CT — Sagittal slice 169/512 — image width 140 mm — bone window
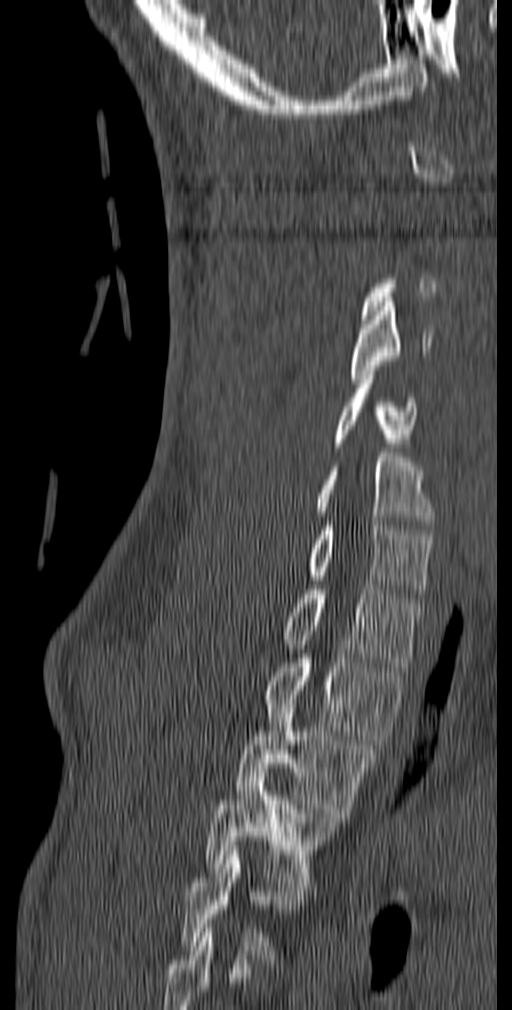

Box edges are left/top/right/bottom in pixels.
A vertebra is boxed only from the first to the last slice where its cross-section is at least a third of its largest; slices outside that range leave it without a box.
In this scan, the topmost labeled vertebra is C1 and the lowest is T5.
C4: left=350, top=302, right=433, bottom=383
C5: left=334, top=370, right=417, bottom=447
C6: left=315, top=453, right=436, bottom=525
C7: left=309, top=521, right=432, bottom=598
T1: left=283, top=585, right=424, bottom=671
T2: left=265, top=654, right=406, bottom=744
T3: left=235, top=699, right=379, bottom=817
T4: left=206, top=773, right=339, bottom=886
T5: left=180, top=846, right=308, bottom=964